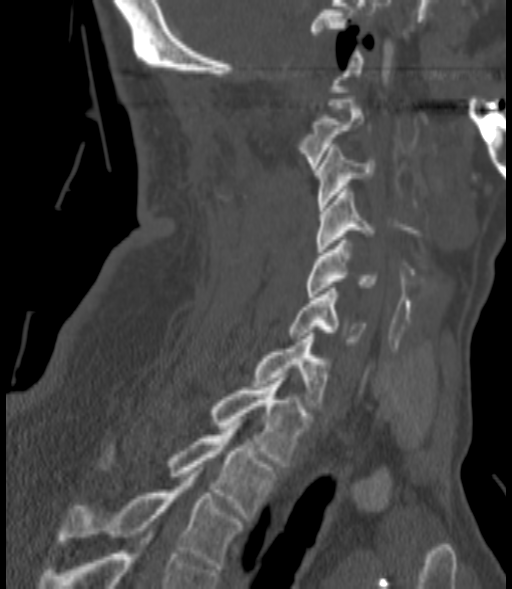
CT spine; sagittal view; image width 200 mm; W/L 1800/400 HU
Boxes are (x1, y1, x2, y2) in pixels.
C2: (300, 99, 363, 169)
C3: (316, 147, 374, 210)
C4: (316, 186, 374, 252)
C5: (305, 237, 377, 297)
C6: (290, 288, 365, 345)
C7: (254, 333, 327, 409)
T1: (211, 378, 307, 466)
T2: (101, 426, 274, 517)
T3: (57, 470, 240, 569)